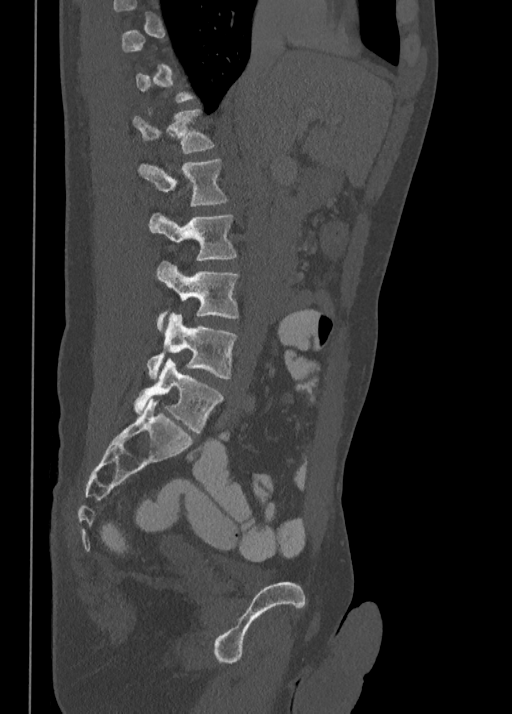

CT. sagittal view. 512x714 px
A vertebra gets a box only on the slices from the first to the last where its cross-section is at least a third of its largest; on a slice outside that range it gets none.
<vertebrae><v name="T12" x1="133" y1="109" x2="215" y2="154"/><v name="L1" x1="139" y1="159" x2="228" y2="204"/><v name="L2" x1="149" y1="212" x2="237" y2="261"/><v name="L3" x1="156" y1="261" x2="239" y2="331"/><v name="L4" x1="148" y1="313" x2="237" y2="378"/><v name="L5" x1="134" y1="358" x2="223" y2="433"/></vertebrae>